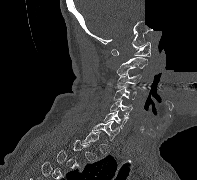
Spine computed tomography; sagittal view; W/L 1800/400 HU; 197x180 px; a portion of the image is blanked out (constant pixel value)
Box edges are left/top/right/bottom in pixels.
Each vertebra is boxed only on the slices from the first to the last where its cross-section reaches a third of its largest, so a slice outside that range leaves it unboxed.
| vertebra | x1 | y1 | x2 | y2 |
|---|---|---|---|---|
| C1 | 111 | 41 | 150 | 56 |
| C2 | 116 | 57 | 147 | 75 |
| C3 | 117 | 73 | 141 | 88 |
| C4 | 114 | 87 | 136 | 100 |
| C5 | 110 | 99 | 132 | 118 |
| C6 | 104 | 110 | 127 | 128 |
| C7 | 92 | 121 | 119 | 140 |